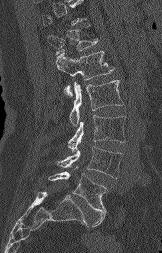
Spine computed tomography · sagittal view · 162x253 px
Boxes: x1 y1 x2 y2 (pixel coords, space-separated). A vertebra cut off by the top edge of the scan is not labeled and has no box. Vertebrae labeled: T12 at 48 29 97 54, L1 at 56 51 114 97, L2 at 69 80 123 126, L3 at 68 115 125 151, L4 at 56 146 122 178, L5 at 49 167 106 227.